CT · Sagittal slice 265/512 · W/L 1800/400 HU · 536x664 px · scan covers 9 annotated vertebrae
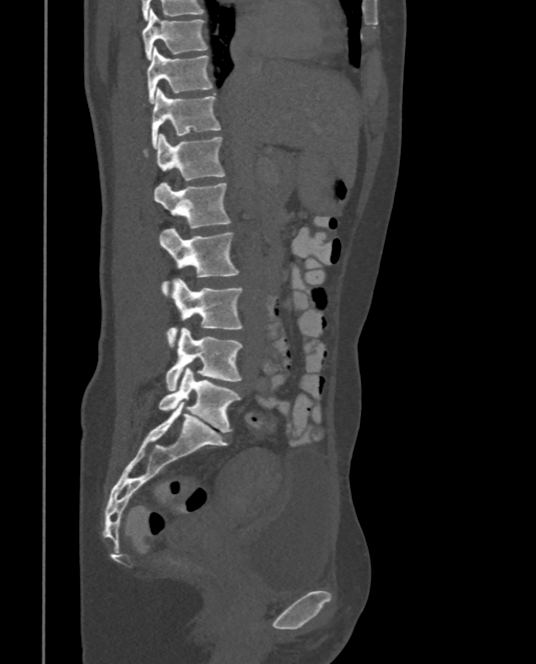
Each box is [x1, y1, x2, y2] in pixels: top-left corner, then bottom-right corner.
{"vertebrae":{"T9":[142,10,207,60],"T10":[146,47,213,103],"T11":[152,88,220,146],"T12":[144,134,225,180],"L1":[154,183,230,227],"L2":[159,228,239,296],"L3":[167,278,243,346],"L4":[165,327,243,390],"L5":[158,367,241,432]}}